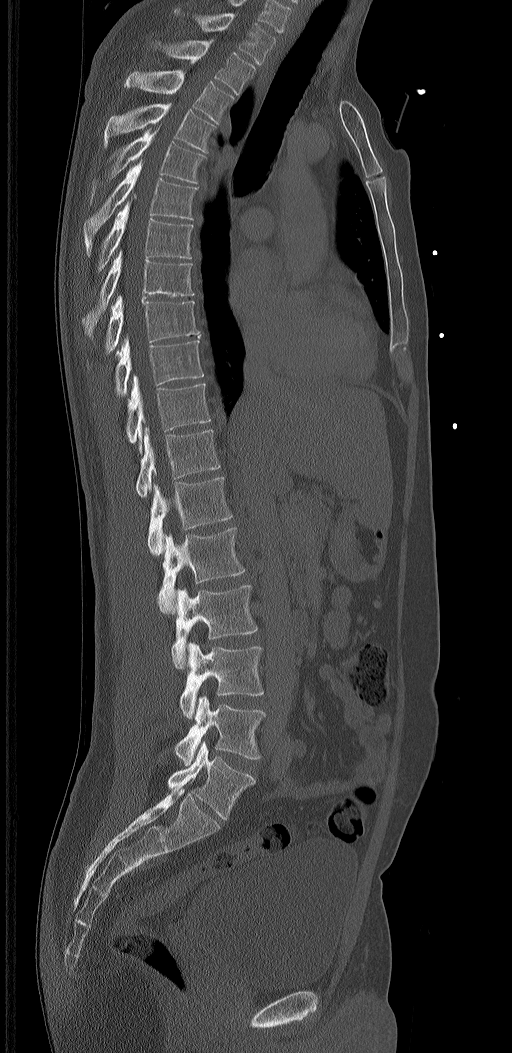
CT spine. sagittal reformat
Boxes below are [x1, y1, x2, y2] in pixels.
The labels name a sixth lumbar vertebra for this spine: L6, after L5.
{"vertebrae":{"L6":[167,741,255,820],"L5":[175,695,265,765],"L4":[179,642,263,719],"L3":[172,584,257,668],"L2":[157,527,246,614],"L1":[148,477,233,556],"T12":[135,427,220,497],"T11":[127,375,211,455],"T10":[114,336,204,396],"T9":[100,295,199,369],"T8":[82,250,195,337],"T7":[96,197,193,273],"T6":[84,160,198,256],"T5":[89,123,207,205],"T4":[104,103,216,153],"T3":[124,70,233,123],"T2":[157,40,255,94],"T1":[175,8,276,65]}}